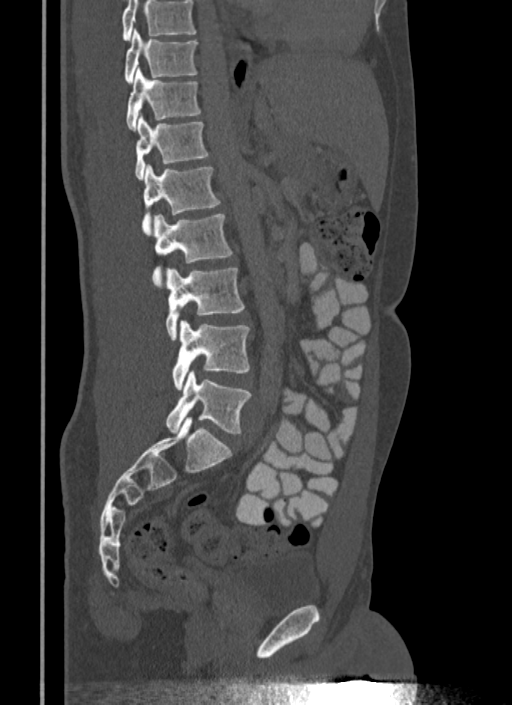 CT spine. sagittal reformat. bone-window reconstruction
Box edges are left/top/right/bottom in pixels.
A vertebra cut off by the top edge of the scan is not labeled and has no box.
T10: left=123, top=29, right=198, bottom=83
T11: left=126, top=68, right=201, bottom=130
T12: left=135, top=114, right=210, bottom=178
L1: left=141, top=164, right=220, bottom=235
L2: left=152, top=214, right=232, bottom=288
L3: left=165, top=267, right=244, bottom=339
L4: left=171, top=321, right=250, bottom=389
L5: left=165, top=370, right=252, bottom=433